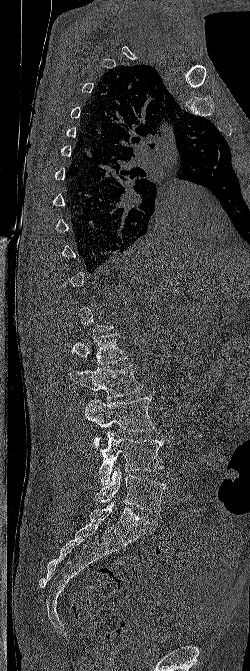 CT, spine. sagittal view. W/L 1800/400 HU. 250x671 px. Box edges are left/top/right/bottom in pixels. A vertebra is boxed only from the first to the last slice where its cross-section is at least a third of its largest; slices outside that range leave it without a box. 5 vertebrae labeled — L1 at left=71, top=333, right=128, bottom=365; L2 at left=70, top=364, right=143, bottom=399; L3 at left=85, top=397, right=154, bottom=446; L4 at left=98, top=430, right=163, bottom=484; L5 at left=95, top=468, right=166, bottom=511.